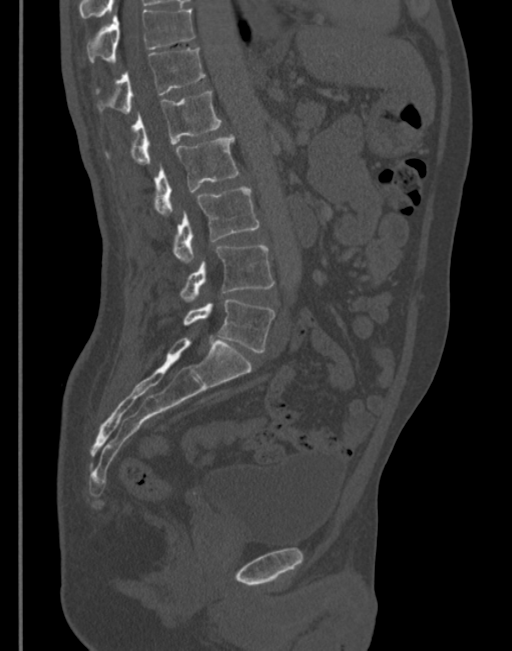
Spine CT. sagittal reformat. 512x651 px. the image spans 345 mm across
Boxes are (x1, y1, x2, y2) in pixels.
T11: (87, 7, 193, 62)
T12: (98, 49, 205, 114)
L1: (107, 90, 221, 164)
L2: (154, 135, 238, 216)
L3: (173, 186, 260, 264)
L4: (181, 245, 273, 301)
L5: (184, 299, 275, 352)